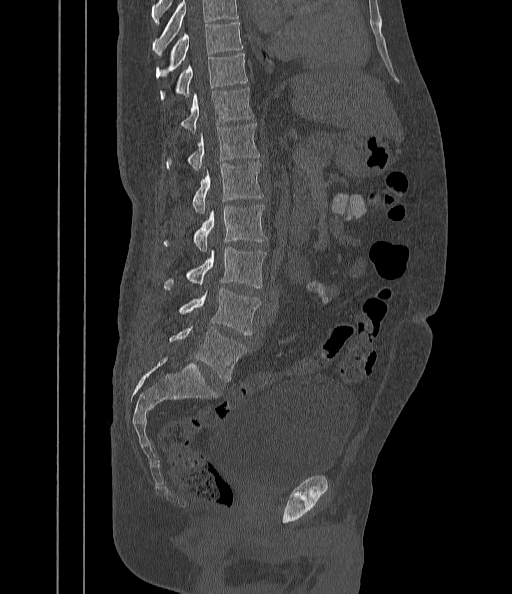
CT spine; sagittal view; Bone window (WL 400, WW 1800); image 442 mm wide
Boxes: x1 y1 x2 y2 (pixel coords, space-separated). Vertebrae that run past the top of the scan are left unlabeled. The labeled vertebrae in this slice are: L5 at 169 327 246 381, L4 at 179 288 261 334, L3 at 164 247 265 289, L2 at 163 205 267 251, L1 at 192 162 263 213, T12 at 166 123 260 171, T11 at 181 89 254 131, T10 at 160 54 247 100, T9 at 156 23 242 77.